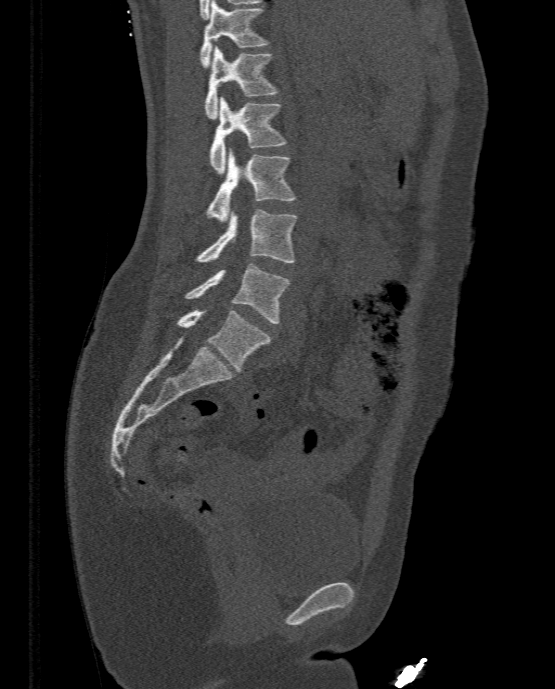 CT. 333 mm image width. sagittal reformat. 555x689 px
<vertebrae><v name="T11" x1="199" y1="0" x2="269" y2="67"/><v name="T12" x1="204" y1="45" x2="276" y2="119"/><v name="L1" x1="209" y1="97" x2="285" y2="174"/><v name="L2" x1="206" y1="149" x2="295" y2="221"/><v name="L3" x1="195" y1="210" x2="297" y2="262"/><v name="L4" x1="184" y1="263" x2="291" y2="323"/><v name="L5" x1="177" y1="309" x2="270" y2="370"/></vertebrae>